Spine CT; sagittal plane, index 283; bone window; 617x640 px; 17 vertebrae labeled in this scan
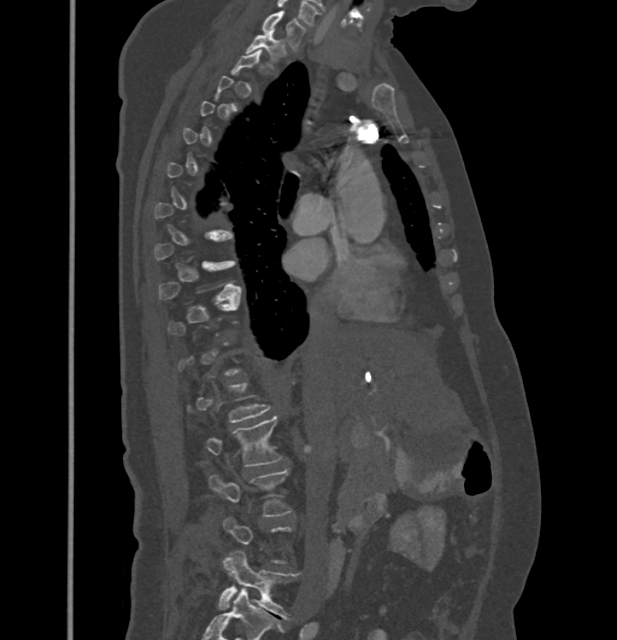

Bounding boxes as [x1, y1, x2, y2] in pixel coordinates. A vertebra is boxed only from the first to the last slice where its cross-section is at least a third of its largest; slices outside that range leave it without a box. 5 vertebrae labeled — C7 at [263, 10, 305, 49]; T1 at [247, 29, 285, 59]; L2 at [207, 415, 282, 466]; L3 at [210, 469, 291, 516]; L5 at [218, 550, 299, 619].